Computed tomography of the spine · Sagittal slice 43/88 · the image is 234 mm wide · Bone window (WL 400, WW 1800)
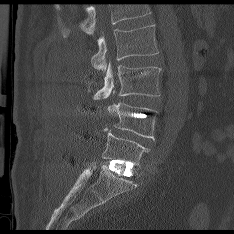 No box is given to a vertebra that the top edge of the scan cuts off.
<vertebrae><v name="L5" x1="102" y1="128" x2="148" y2="165"/><v name="L4" x1="107" y1="102" x2="156" y2="140"/><v name="L3" x1="93" y1="62" x2="160" y2="99"/><v name="L2" x1="91" y1="25" x2="158" y2="71"/></vertebrae>